CT · sagittal view
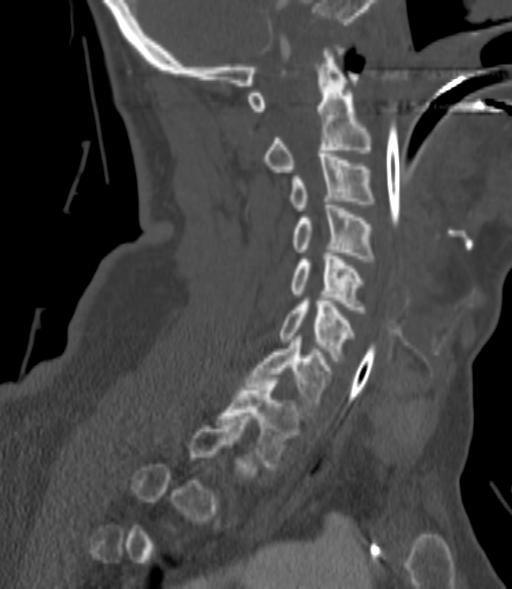

Each box given as x1,y1,x2,y2.
Each vertebra is boxed only on the slices from the first to the last where its cross-section reaches a third of its largest, so a slice outside that range leaves it unboxed.
C2: x1=264, y1=48, x2=371, y2=172
C3: x1=290, y1=154, x2=374, y2=210
C4: x1=293, y1=202, x2=374, y2=261
C5: x1=290, y1=250, x2=363, y2=313
C6: x1=280, y1=298, x2=353, y2=361
C7: x1=247, y1=336, x2=330, y2=412
T1: x1=218, y1=378, x2=299, y2=466